CT spine; Sagittal slice 35/61; bone window; 153x300 px
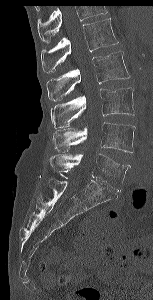
Box values are [left, top, right, bottom] in pixels.
Where the top of the scan cuts through a vertebra, that vertebra gets no label or box.
{"vertebrae":{"L5":[49,153,130,191],"L4":[52,122,135,152],"L3":[50,87,134,128],"L2":[46,50,130,101],"L1":[41,18,118,74]}}